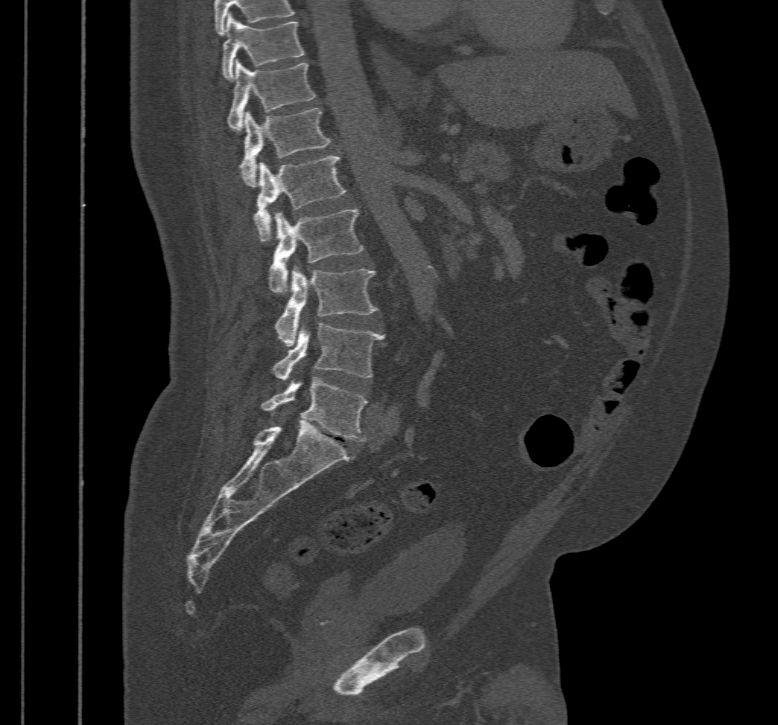 Spine CT. image 467 mm wide. sagittal view
<vertebrae><v name="L5" x1="260" y1="379" x2="367" y2="441"/><v name="L4" x1="274" y1="324" x2="384" y2="381"/><v name="L3" x1="275" y1="265" x2="378" y2="346"/><v name="L2" x1="268" y1="209" x2="364" y2="293"/><v name="L1" x1="254" y1="155" x2="346" y2="241"/><v name="T12" x1="240" y1="109" x2="330" y2="186"/><v name="T11" x1="227" y1="60" x2="315" y2="131"/><v name="T10" x1="222" y1="14" x2="305" y2="81"/></vertebrae>